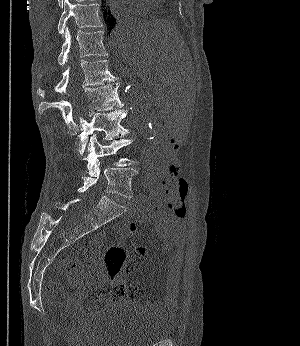
CT, spine · sagittal view · 300 mm wide
Boxes are given in columns x1, y1, x2, y2, the pixel coordinates of their top-left and bottom-right corners.
| vertebra | x1 | y1 | x2 | y2 |
|---|---|---|---|---|
| L5 | 78 | 162 | 138 | 198 |
| L4 | 75 | 134 | 136 | 176 |
| L3 | 78 | 109 | 129 | 155 |
| L2 | 38 | 82 | 123 | 134 |
| L1 | 37 | 60 | 116 | 96 |
| T12 | 39 | 27 | 108 | 65 |
| T11 | 58 | 0 | 101 | 35 |